Spine CT. Sagittal slice 39/74. the image spans 216 mm across. 216x216 px. 5 vertebrae labeled in this scan
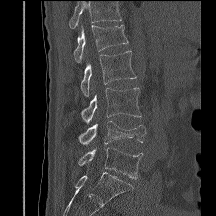
Box values are [left, top, right, bottom] in pixels.
Vertebrae that run past the top of the scan are left unlabeled.
{"vertebrae":{"L1":[73,24,128,62],"L2":[80,51,136,96],"L3":[81,88,141,123],"L4":[78,120,145,145],"L5":[78,147,143,179]}}